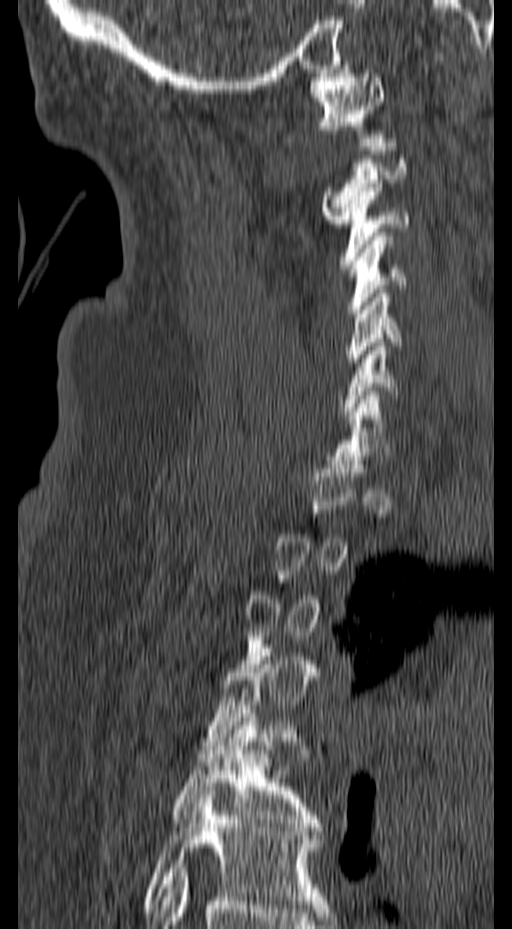 CT spine · sagittal view · bone-window reconstruction · 157 mm image width
A vertebra gets a box only on the slices from the first to the last where its cross-section is at least a third of its largest; on a slice outside that range it gets none.
<vertebrae><v name="C1" x1="308" y1="69" x2="385" y2="142"/><v name="C2" x1="322" y1="143" x2="406" y2="223"/><v name="C3" x1="339" y1="183" x2="409" y2="268"/><v name="C4" x1="346" y1="232" x2="407" y2="317"/><v name="C5" x1="346" y1="285" x2="401" y2="370"/><v name="C6" x1="338" y1="342" x2="398" y2="415"/><v name="T5" x1="174" y1="713" x2="321" y2="831"/><v name="T6" x1="144" y1="787" x2="326" y2="908"/></vertebrae>